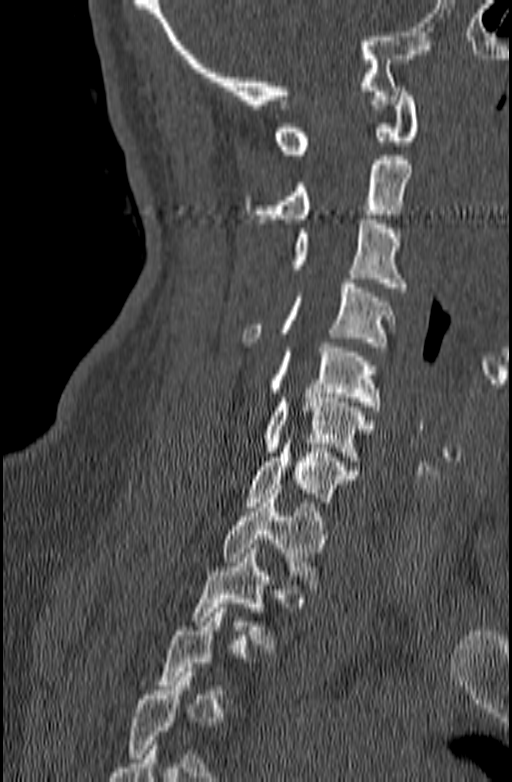
Spine computed tomography. the image spans 140 mm across. sagittal view. W/L 1800/400 HU
Not every vertebra on this slice has a box: a vertebra is boxed only from the first to the last slice where its cross-section is at least a third of its largest, and this slice is outside that range for at least one of them.
<vertebrae><v name="T2" x1="192" y1="544" x2="278" y2="648"/><v name="T1" x1="221" y1="489" x2="328" y2="589"/><v name="C7" x1="246" y1="439" x2="358" y2="506"/><v name="C6" x1="264" y1="393" x2="373" y2="461"/><v name="C5" x1="268" y1="343" x2="381" y2="410"/><v name="C4" x1="242" y1="279" x2="396" y2="351"/><v name="C3" x1="290" y1="219" x2="406" y2="292"/><v name="C2" x1="244" y1="155" x2="412" y2="223"/><v name="C1" x1="275" y1="87" x2="418" y2="154"/></vertebrae>